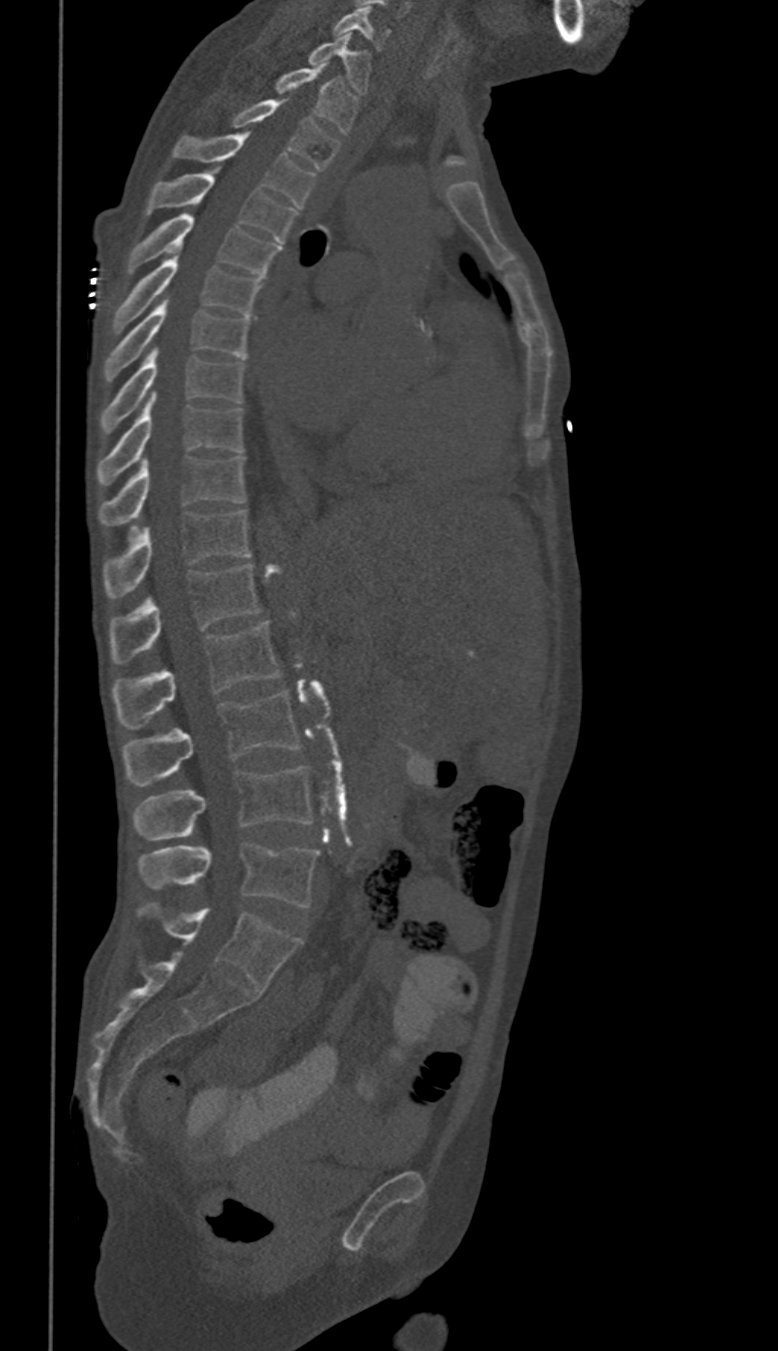 Spine CT; sagittal reformat; W/L 1800/400 HU
Each vertebra maps to its box as [x1, y1, x2, y2], the pixel coordinates of its top-left and bottom-right corners.
In these labels the thoracic vertebrae end at T11, so L1 follows T11.
{"vertebrae":{"C6":[333,7,389,51],"C7":[308,32,370,93],"T1":[275,63,356,133],"T2":[232,100,339,168],"T3":[173,132,313,206],"T4":[146,167,297,242],"T5":[129,214,279,277],"T6":[112,247,260,333],"T7":[105,296,248,379],"T8":[102,347,244,433],"T9":[97,394,244,484],"T10":[100,456,245,524],"T11":[105,509,250,597],"L1":[111,563,259,664],"L2":[112,623,279,728],"L3":[122,692,301,786],"L4":[134,767,312,839],"L5":[140,843,318,908]}}